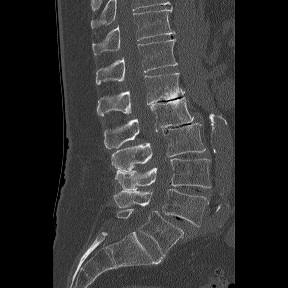
Computed tomography of the spine — sagittal view — Bone window (WL 400, WW 1800)
Each box given as x1,y1,x2,y2.
These labels give the spine a sixth lumbar vertebra, L6, below L5.
| vertebra | x1 | y1 | x2 | y2 |
|---|---|---|---|---|
| T11 | 92 | 7 | 175 | 55 |
| T12 | 95 | 39 | 177 | 84 |
| L1 | 97 | 73 | 184 | 116 |
| L2 | 104 | 97 | 193 | 148 |
| L3 | 111 | 123 | 205 | 171 |
| L4 | 115 | 158 | 211 | 190 |
| L5 | 113 | 188 | 208 | 226 |
| L6 | 116 | 208 | 184 | 255 |